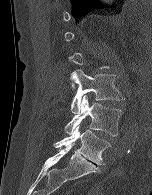 Computed tomography of the spine; sagittal view; bone window; 152x195 px; the image is 152 mm wide

Boxes are (x1, y1, x2, y2) in pixels. Each vertebra is boxed only on the slices from the first to the last where its cross-section reaches a third of its largest, so a slice outside that range leaves it unboxed. Vertebrae labeled: L3 at (70, 70, 124, 113), L4 at (65, 95, 122, 136), L5 at (54, 124, 110, 164).